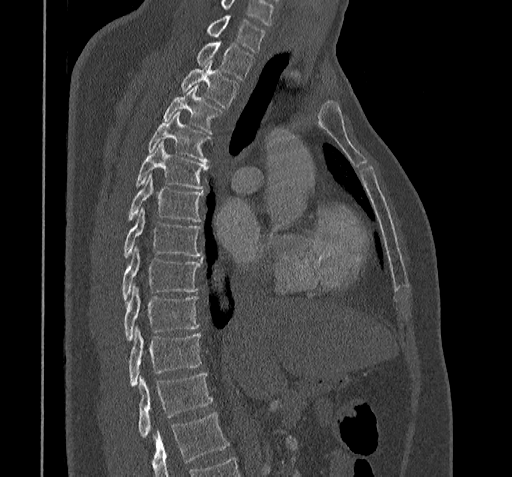
CT spine — sagittal view — 322 mm image width — bone-window reconstruction — 512x477 px. Box edges are left/top/right/bottom in pixels.
Where the bottom of the scan cuts through a vertebra, that vertebra gets no label or box.
Labels in this scan begin with C7 at the top and end with T11 at the bottom.
C7: left=206, top=16, right=264, bottom=52
T1: left=197, top=43, right=253, bottom=79
T2: left=181, top=60, right=237, bottom=108
T3: left=163, top=86, right=221, bottom=134
T4: left=148, top=113, right=210, bottom=162
T5: left=136, top=142, right=208, bottom=188
T6: left=128, top=175, right=202, bottom=221
T7: left=124, top=209, right=202, bottom=258
T8: left=122, top=248, right=202, bottom=302
T9: left=124, top=286, right=199, bottom=341
T10: left=128, top=326, right=201, bottom=385
T11: left=138, top=374, right=212, bottom=437